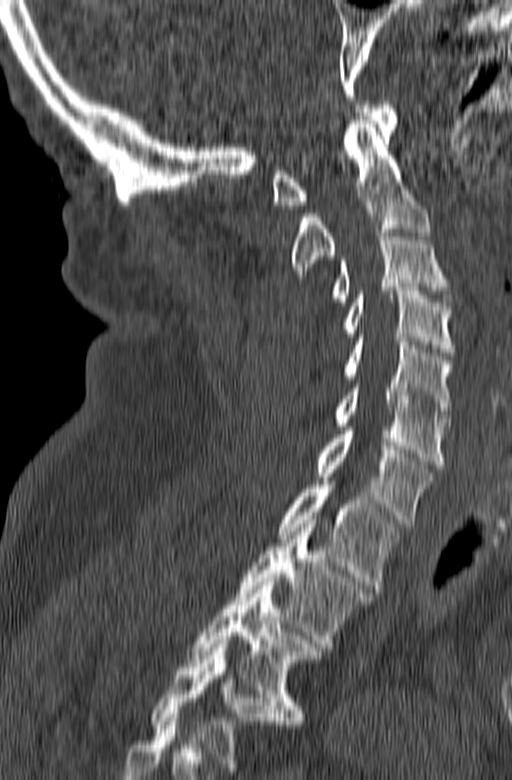
CT, spine — sagittal reformat — bone window — 512x780 px

Box values are [left, top, right, bottom] in pixels.
Labels in this scan begin with C1 at the top and end with T3 at the bottom.
{"vertebrae":{"C1":[271,101,397,208],"C2":[290,116,430,278],"C3":[330,229,455,305],"C4":[342,287,456,356],"C5":[342,337,453,418],"C6":[333,380,450,468],"C7":[317,427,432,527],"T1":[277,481,401,592],"T2":[235,520,371,647],"T3":[188,578,323,724]}}